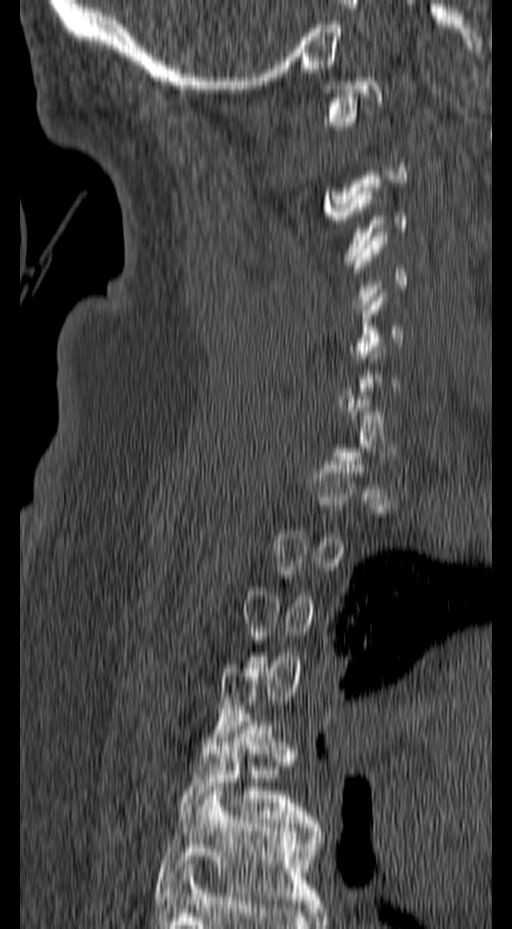 CT spine · sagittal view · image width 157 mm · 512x929 px
A vertebra gets a box only on the slices from the first to the last where its cross-section is at least a third of its largest; on a slice outside that range it gets none.
<vertebrae><v name="T6" x1="152" y1="787" x2="323" y2="904"/><v name="T5" x1="177" y1="713" x2="319" y2="827"/></vertebrae>